CT spine · image width 173 mm · sagittal reformat · Bone window (WL 400, WW 1800) · 173x184 px · part of the image is constant black where the scan was masked
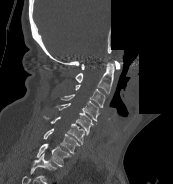

Boxes: x1 y1 x2 y2 (pixel coords, space-separated). This scan's labels start at C1 at the top and end at T1 at the bottom. Vertebrae labeled: T1 at 36 143 71 166, C7 at 43 128 79 153, C6 at 43 115 84 144, C5 at 55 103 96 135, C4 at 61 94 99 121, C3 at 75 84 105 107, C2 at 75 63 114 93, C1 at 81 60 120 69.